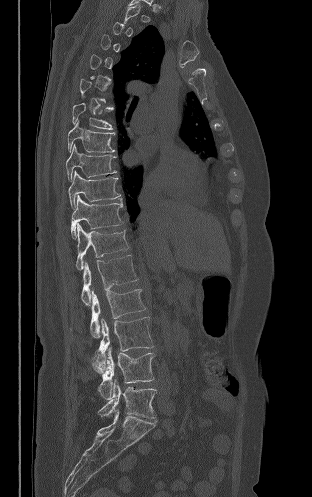

CT, spine · sagittal reformat · 312x497 px. Boxes: x1 y1 x2 y2 (pixel coords, space-separated).
Each vertebra is boxed only on the slices from the first to the last where its cross-section reaches a third of its largest, so a slice outside that range leaves it unboxed.
Vertebra bounding boxes:
- T7: 72 103 113 129
- T8: 67 120 114 152
- T9: 66 144 116 180
- T10: 68 170 120 208
- T11: 70 195 123 238
- T12: 76 224 128 270
- L1: 81 255 138 305
- L2: 90 289 145 337
- L3: 92 317 153 373
- L4: 93 347 154 399
- L5: 98 379 156 418